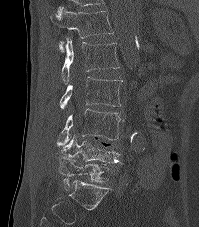 CT. 199 mm wide. sagittal view. bone window. 199x227 px
Boxes: x1 y1 x2 y2 (pixel coords, space-separated).
T12: 50 7 113 52
L1: 61 37 119 83
L2: 60 77 122 110
L3: 56 108 121 145
L4: 60 136 124 165
L5: 59 158 109 191